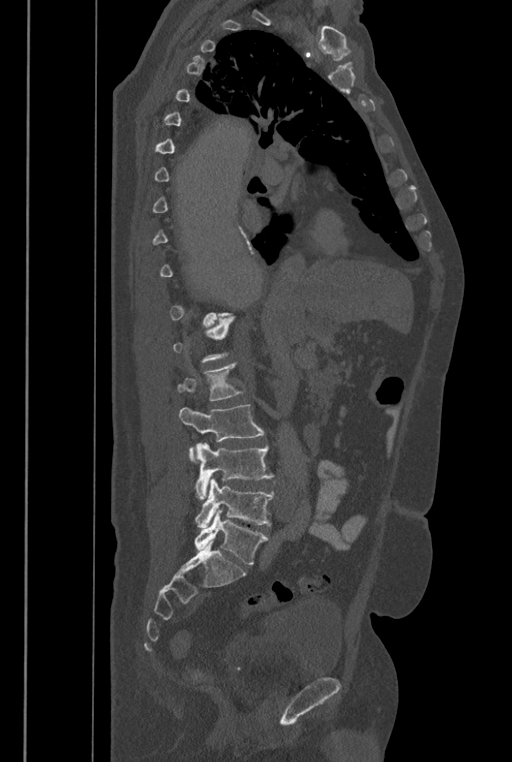

Spine computed tomography; sagittal view; 512x762 px
A vertebra gets a box only on the slices from the first to the last where its cross-section is at least a third of its largest; on a slice outside that range it gets none.
In these labels the spine has an L6, a sixth lumbar vertebra below L5.
<vertebrae><v name="L2" x1="178" y1="363" x2="246" y2="400"/><v name="L3" x1="179" y1="404" x2="264" y2="462"/><v name="L4" x1="195" y1="443" x2="273" y2="500"/><v name="L5" x1="194" y1="478" x2="274" y2="527"/><v name="L6" x1="194" y1="510" x2="268" y2="564"/></vertebrae>